Spine computed tomography; sagittal view; 512x778 px
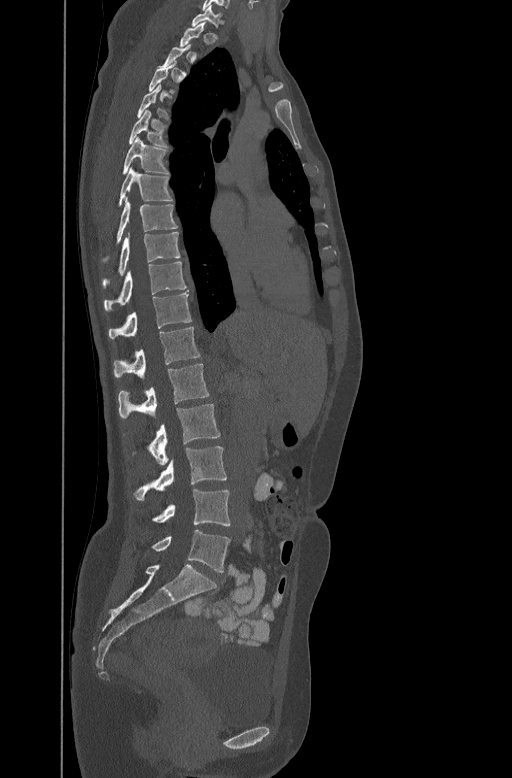
Bounding boxes as [x1, y1, x2, y2] in pixel coordinates.
A vertebra is boxed only from the first to the last slice where its cross-section is at least a third of its largest; slices outside that range leave it without a box.
C7: [191, 7, 223, 25]
T5: [128, 108, 167, 145]
T6: [122, 136, 168, 173]
T7: [118, 167, 172, 205]
T8: [106, 197, 178, 258]
T9: [102, 231, 180, 286]
T10: [104, 261, 186, 310]
T11: [109, 292, 191, 337]
T12: [113, 326, 199, 376]
L1: [118, 363, 209, 418]
L2: [133, 404, 220, 465]
L3: [134, 446, 227, 500]
L4: [149, 489, 230, 527]
L5: [151, 530, 230, 572]